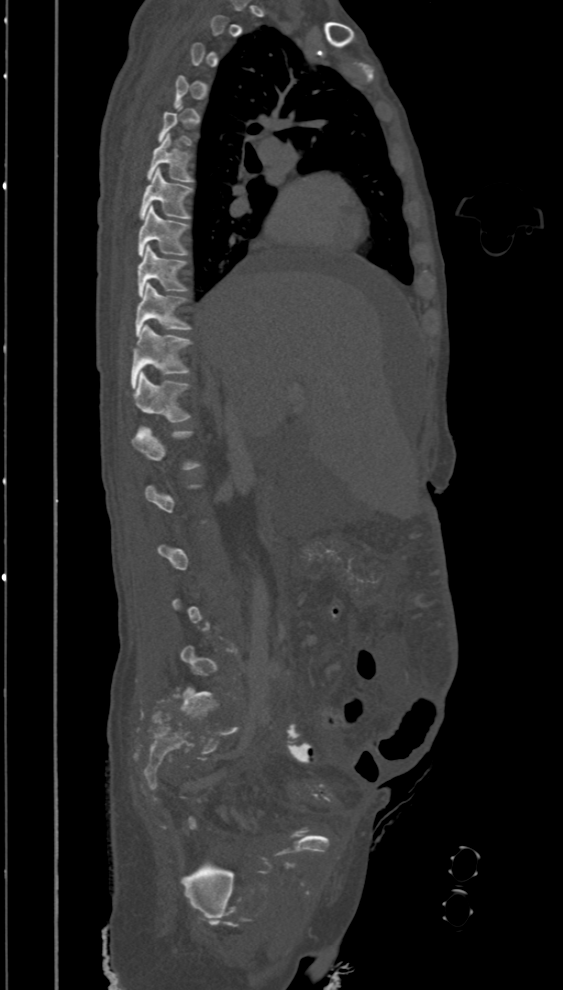 CT. sagittal view. 563x990 px. 394 mm across the image

Each box given as x1,y1,x2,y2.
Not every vertebra on this slice has a box: a vertebra is boxed only from the first to the last slice where its cross-section is at least a third of its largest, and this slice is outside that range for at least one of them.
T6: x1=147, y1=133, x2=194, y2=182
T7: x1=140, y1=169, x2=191, y2=219
T8: x1=139, y1=205, x2=189, y2=256
T9: x1=137, y1=245, x2=187, y2=296
T10: x1=135, y1=283, x2=190, y2=336
T11: x1=131, y1=325, x2=190, y2=388
T12: x1=132, y1=372, x2=190, y2=422